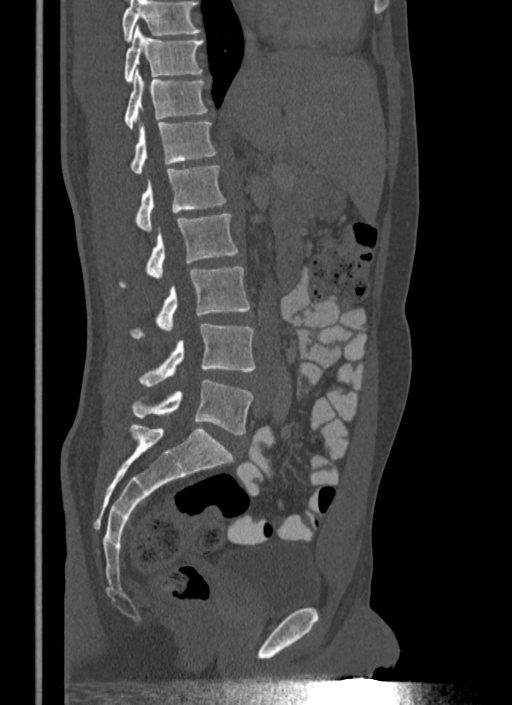

CT. sagittal view

Each box given as x1,y1,x2,y2. Where the top of the scan cuts through a vertebra, that vertebra gets no label or box. 8 vertebrae labeled — T10 at x1=123, y1=26, x2=204, y2=82; T11 at x1=123, y1=69, x2=208, y2=130; T12 at x1=129, y1=122, x2=216, y2=174; L1 at x1=135, y1=166, x2=226, y2=231; L2 at x1=120, y1=212, x2=238, y2=287; L3 at x1=131, y1=267, x2=250, y2=338; L4 at x1=138, y1=324, x2=255, y2=386; L5 at x1=131, y1=379, x2=253, y2=434.